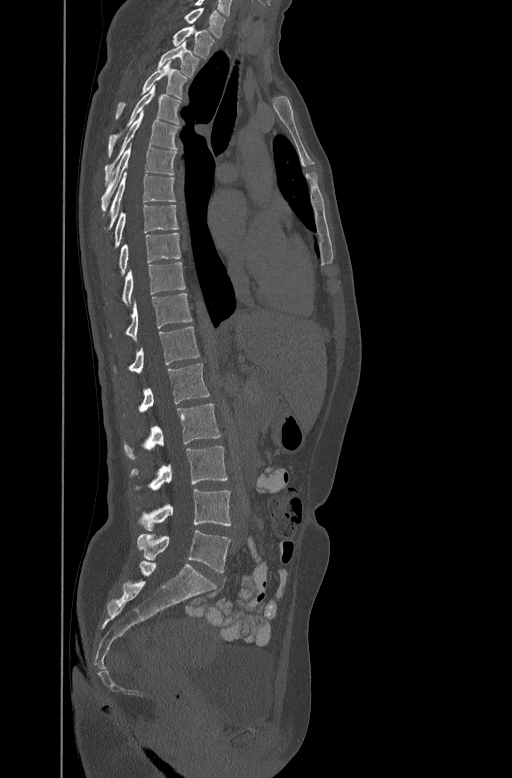

Computed tomography of the spine; sagittal view; bone window
Each row gives a vertebra's box as x1, y1, x2, y2 in pixels: top-left corner, then bottom-right corner.
| vertebra | x1 | y1 | x2 | y2 |
|---|---|---|---|---|
| C7 | 184 | 7 | 226 | 36 |
| T1 | 173 | 25 | 214 | 57 |
| T2 | 158 | 41 | 198 | 75 |
| T3 | 116 | 60 | 187 | 117 |
| T4 | 108 | 86 | 180 | 155 |
| T5 | 105 | 110 | 179 | 180 |
| T6 | 102 | 144 | 176 | 210 |
| T7 | 104 | 172 | 175 | 229 |
| T8 | 112 | 203 | 178 | 248 |
| T9 | 118 | 232 | 180 | 274 |
| T10 | 121 | 261 | 186 | 304 |
| T11 | 109 | 292 | 193 | 339 |
| T12 | 113 | 325 | 199 | 372 |
| L1 | 124 | 363 | 210 | 415 |
| L2 | 124 | 404 | 221 | 459 |
| L3 | 129 | 446 | 227 | 490 |
| L4 | 137 | 489 | 230 | 530 |
| L5 | 137 | 530 | 230 | 572 |